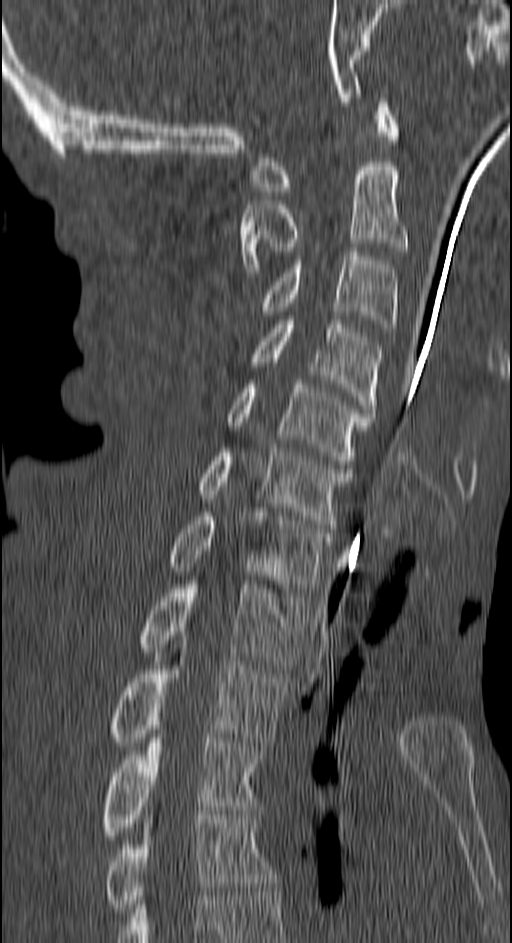

Computed tomography of the spine — the image spans 150 mm across — sagittal reformat — bone window
Boxes below are [x1, y1, x2, y2] in pixels.
{"vertebrae":{"T4":[104,815,277,916],"T3":[100,734,260,840],"T2":[107,649,288,746],"T1":[138,580,305,669],"C7":[168,508,331,592],"C6":[199,448,352,528],"C5":[226,380,374,464],"C4":[250,320,383,413],"C3":[257,252,396,328],"C2":[240,166,406,272],"C1":[253,98,400,195]}}